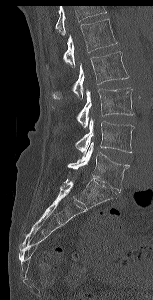

CT, spine · sagittal reformat

Boxes: x1 y1 x2 y2 (pixel coords, space-separated). A vertebra cut off by the top edge of the scan is not labeled and has no box. Vertebrae labeled: L1 at 63 19 117 66, L2 at 50 51 129 99, L3 at 76 87 134 128, L4 at 75 117 134 154, L5 at 67 142 129 191.